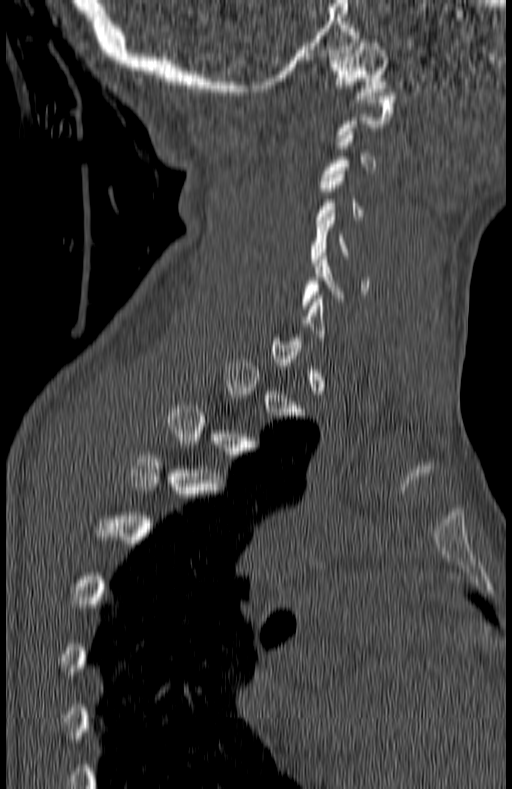 CT spine; sagittal view; 512x789 px
Each row gives a vertebra's box as x1, y1, x2, y2 in pixels: top-left corner, then bottom-right corner.
A vertebra is boxed only from the first to the last slice where its cross-section is at least a third of its largest; slices outside that range leave it without a box.
| vertebra | x1 | y1 | x2 | y2 |
|---|---|---|---|---|
| C1 | 329 | 39 | 387 | 99 |
| C5 | 309 | 210 | 350 | 262 |